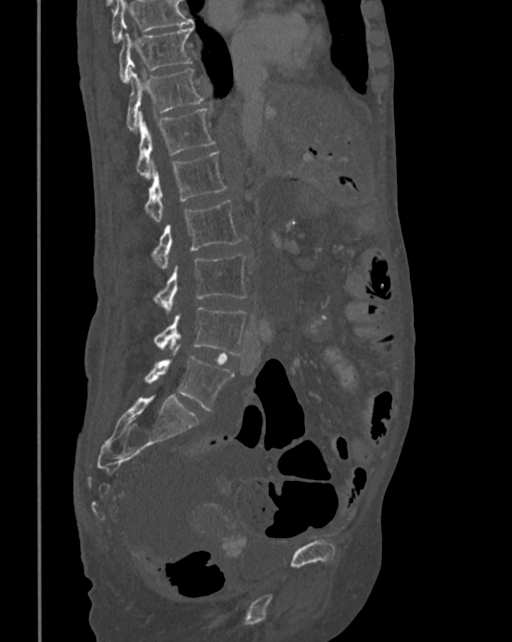 Computed tomography of the spine. sagittal reformat. 342 mm wide. 512x642 px
Each box given as x1,y1,x2,y2.
A vertebra cut off by the top edge of the scan is not labeled and has no box.
| vertebra | x1 | y1 | x2 | y2 |
|---|---|---|---|---|
| T10 | 120 | 26 | 194 | 83 |
| T11 | 126 | 68 | 202 | 130 |
| T12 | 136 | 108 | 214 | 177 |
| L1 | 145 | 152 | 226 | 221 |
| L2 | 152 | 199 | 241 | 269 |
| L3 | 154 | 254 | 246 | 312 |
| L4 | 154 | 307 | 247 | 355 |
| L5 | 145 | 345 | 234 | 411 |